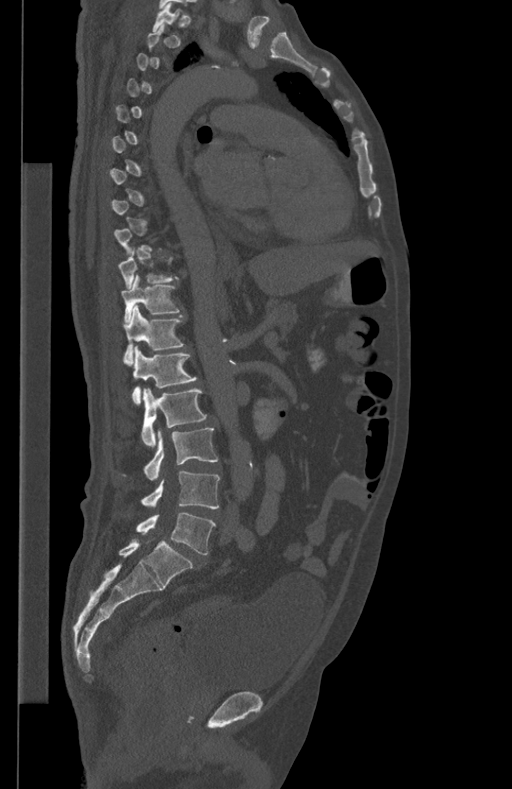 Spine computed tomography — sagittal reformat
Boxes are (x1, y1, x2, y2) in pixels.
Each vertebra is boxed only on the slices from the first to the last where its cross-section reaches a third of its largest, so a slice outside that range leaves it unboxed.
L5: (137, 513, 216, 554)
L4: (141, 470, 220, 509)
L3: (144, 428, 217, 480)
L2: (141, 388, 207, 447)
L1: (132, 345, 196, 405)
T12: (124, 306, 184, 364)
T11: (121, 275, 179, 322)
T10: (118, 254, 178, 287)